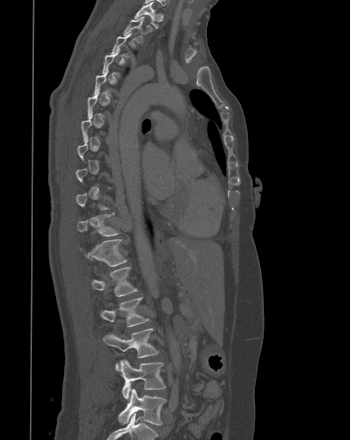

Spine computed tomography · sagittal reformat · 350 mm image width
A vertebra is boxed only from the first to the last slice where its cross-section is at least a third of its largest; slices outside that range leave it without a box.
<vertebrae><v name="L5" x1="118" y1="389" x2="166" y2="425"/><v name="L4" x1="119" y1="360" x2="165" y2="399"/><v name="L3" x1="103" y1="328" x2="158" y2="369"/><v name="L2" x1="99" y1="297" x2="149" y2="327"/><v name="L1" x1="91" y1="266" x2="137" y2="296"/><v name="T12" x1="80" y1="239" x2="127" y2="266"/><v name="T11" x1="77" y1="213" x2="118" y2="236"/><v name="T2" x1="123" y1="16" x2="145" y2="42"/><v name="T1" x1="134" y1="0" x2="158" y2="28"/></vertebrae>